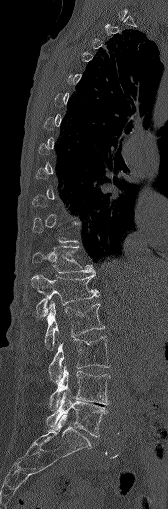 Computed tomography of the spine — the image is 168 mm wide — sagittal view. Coordinates as <box>x1,y1,x2,y2</box>.
Each vertebra is boxed only on the slices from the first to the last where its cross-section reaches a third of its largest, so a slice outside that range leaves it unboxed.
T12: <box>33,246,95,273</box>
L1: <box>31,274,98,316</box>
L2: <box>45,302,104,349</box>
L3: <box>49,336,110,385</box>
L4: <box>49,365,110,410</box>
L5: <box>46,391,107,436</box>